CT spine; sagittal reformat; Bone window (WL 400, WW 1800); 527x755 px
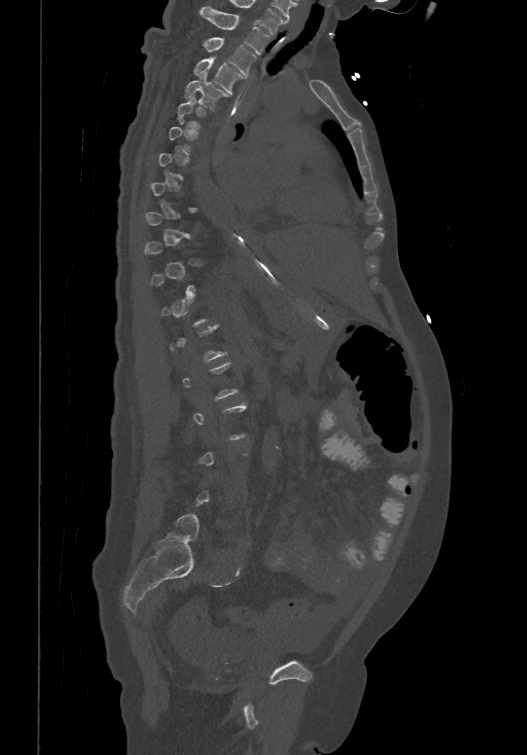 Each box given as x1,y1,x2,y2.
A vertebra gets a box only on the slices from the first to the last where its cross-section is at least a third of its largest; on a slice outside that range it gets none.
| vertebra | x1 | y1 | x2 | y2 |
|---|---|---|---|---|
| T1 | 200 | 5 | 269 | 53 |
| T2 | 204 | 36 | 255 | 74 |
| T3 | 193 | 55 | 244 | 92 |
| T4 | 184 | 72 | 227 | 107 |